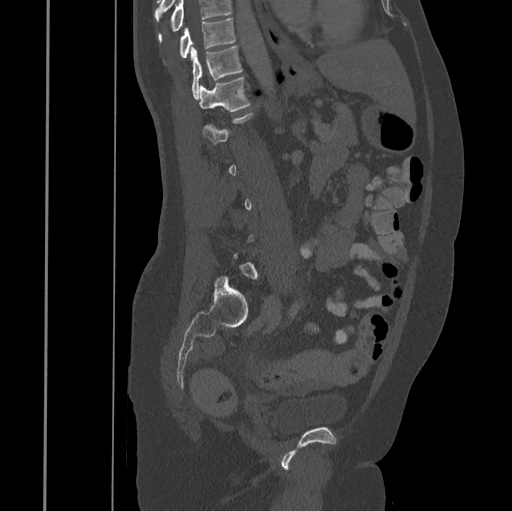 CT spine — sagittal view — bone window — 445 mm across the image
Each row gives a vertebra's box as x1, y1, x2, y2 in pixels: top-left corner, then bottom-right corner.
A vertebra is boxed only from the first to the last slice where its cross-section is at least a third of its largest; slices outside that range leave it without a box.
No box is given to a vertebra that the top edge of the scan cuts off.
| vertebra | x1 | y1 | x2 | y2 |
|---|---|---|---|---|
| T10 | 179 | 19 | 235 | 57 |
| T11 | 191 | 46 | 242 | 98 |
| T12 | 198 | 77 | 250 | 112 |